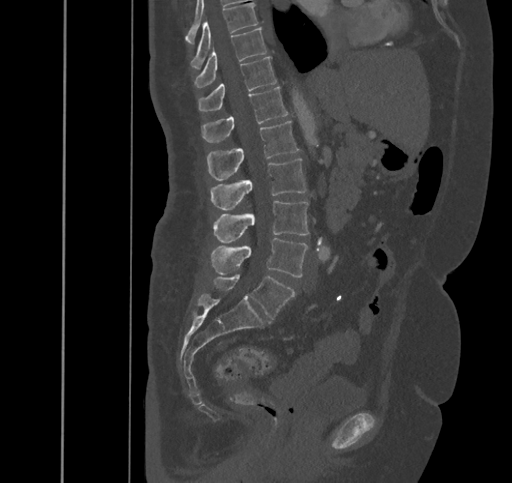

Spine CT — sagittal view

In the table, x1 and y1 are a box's top-left corner and x2 and y2 its bottom-right corner, in pixels.
| vertebra | x1 | y1 | x2 | y2 |
|---|---|---|---|---|
| T9 | 191 | 3 | 259 | 68 |
| T10 | 194 | 27 | 267 | 87 |
| T11 | 198 | 57 | 276 | 111 |
| T12 | 201 | 87 | 288 | 142 |
| L1 | 207 | 121 | 298 | 180 |
| L2 | 210 | 158 | 306 | 210 |
| L3 | 213 | 201 | 308 | 242 |
| L4 | 210 | 237 | 307 | 277 |
| L5 | 213 | 274 | 295 | 318 |